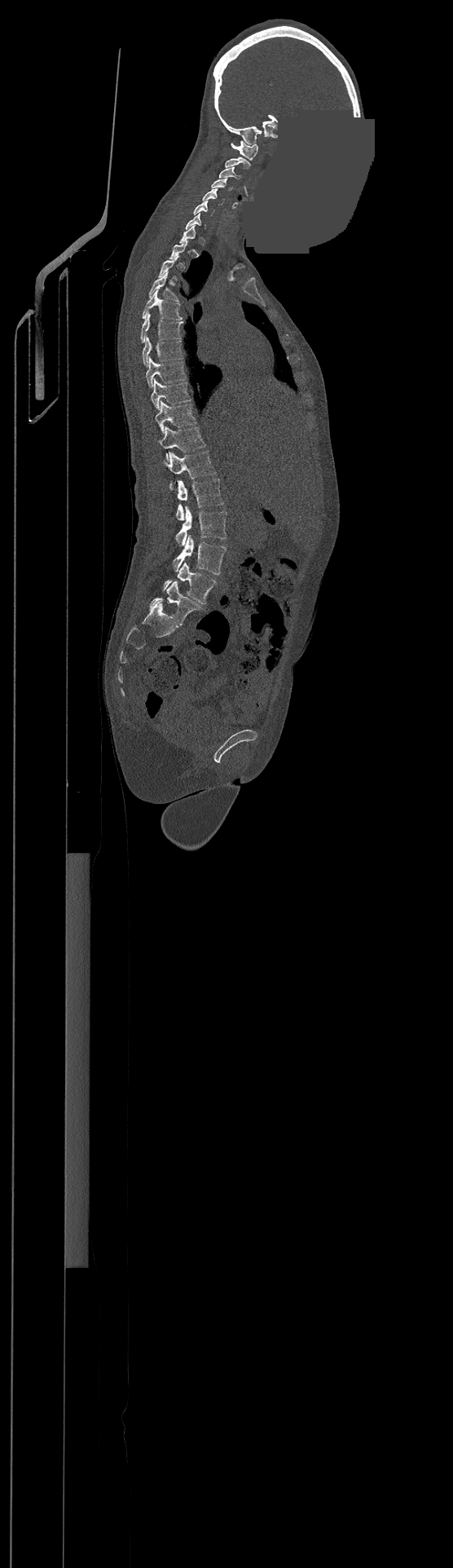 CT, spine — the image spans 500 mm across — sagittal view — a region is masked with a constant gray value
Each vertebra is boxed only on the slices from the first to the last where its cross-section reaches a third of its largest, so a slice outside that range leaves it unboxed.
In this scan, the topmost labeled vertebra is C1 and the lowest is L4.
<vertebrae><v name="L4" x1="163" y1="562" x2="216" y2="604"/><v name="L3" x1="174" y1="535" x2="226" y2="574"/><v name="L2" x1="176" y1="506" x2="226" y2="545"/><v name="L1" x1="172" y1="479" x2="224" y2="520"/><v name="T12" x1="162" y1="451" x2="216" y2="486"/><v name="T11" x1="158" y1="427" x2="205" y2="457"/><v name="T10" x1="155" y1="401" x2="196" y2="432"/><v name="T9" x1="150" y1="379" x2="190" y2="409"/><v name="T8" x1="146" y1="358" x2="186" y2="386"/><v name="T7" x1="143" y1="337" x2="183" y2="366"/><v name="T6" x1="141" y1="313" x2="183" y2="342"/><v name="T5" x1="143" y1="290" x2="183" y2="320"/><v name="T4" x1="149" y1="272" x2="178" y2="301"/><v name="C6" x1="194" y1="201" x2="214" y2="215"/><v name="C5" x1="202" y1="188" x2="224" y2="205"/><v name="C4" x1="211" y1="179" x2="231" y2="190"/><v name="C3" x1="219" y1="166" x2="240" y2="179"/><v name="C2" x1="225" y1="157" x2="250" y2="168"/><v name="C1" x1="231" y1="140" x2="257" y2="160"/></vertebrae>